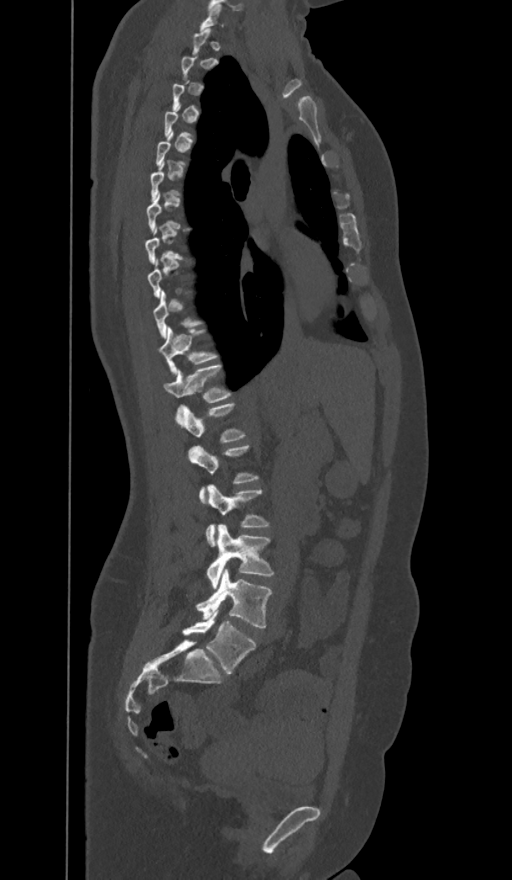
CT, spine · sagittal view · Bone window (WL 400, WW 1800)

Boxes: x1:y1:x2:y2 in pixels.
A vertebra is boxed only from the first to the last slice where its cross-section is at least a third of its largest; slices outside that range leave it without a box.
The labels name a sixth lumbar vertebra for this spine: L6, after L5.
C7: 200:4:222:29
T11: 159:327:216:372
T12: 164:365:230:417
L1: 181:403:244:443
L2: 189:446:258:503
L3: 207:485:269:545
L4: 207:524:273:587
L5: 197:569:271:629
L6: 182:609:255:673